CT spine; sagittal reformat; W/L 1800/400 HU; 527x755 px
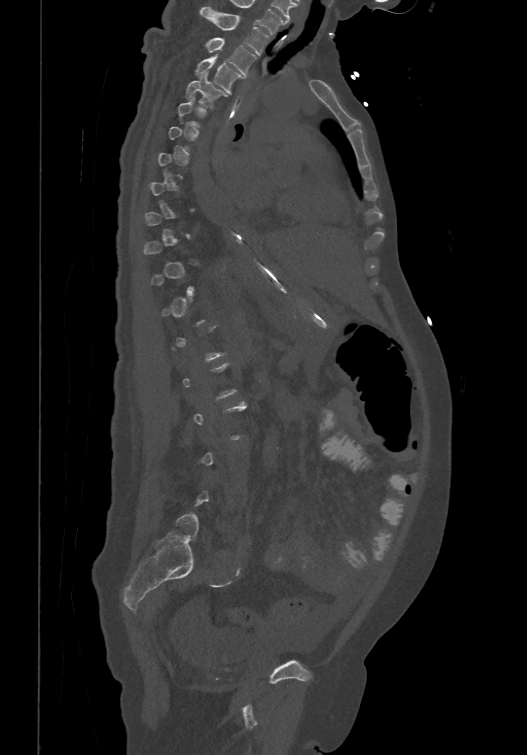
Each row gives a vertebra's box as x1, y1, x2, y2 in pixels: top-left corner, then bottom-right corner.
Each vertebra is boxed only on the slices from the first to the last where its cross-section reaches a third of its largest, so a slice outside that range leaves it unboxed.
| vertebra | x1 | y1 | x2 | y2 |
|---|---|---|---|---|
| T4 | 185 | 72 | 226 | 106 |
| T3 | 194 | 54 | 243 | 92 |
| T2 | 206 | 36 | 255 | 75 |
| T1 | 200 | 6 | 269 | 54 |